CT spine — image 190 mm wide — sagittal reformat — 512x694 px
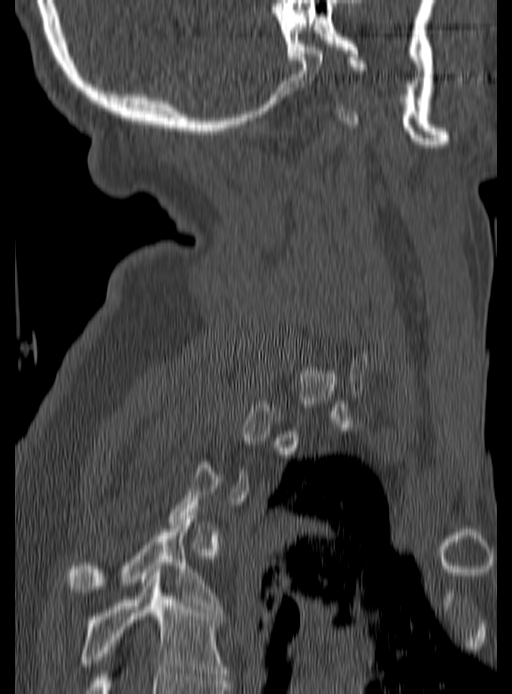
Each box given as x1,y1,x2,y2.
A vertebra gets a box only on the slices from the first to the last where its cross-section is at least a third of its largest; on a slice outside that range it gets none.
T4: x1=66, y1=519, x2=218, y2=609
T5: x1=79, y1=573, x2=226, y2=679